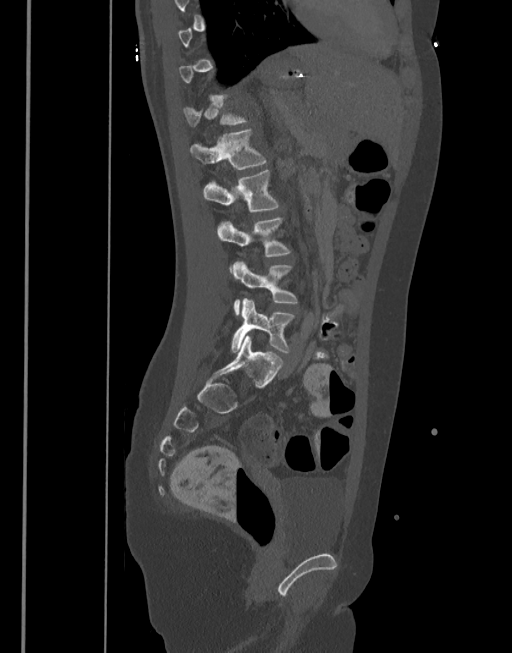

CT, spine · sagittal view · bone window
Columns x1, y1, x2, y2 give each box's top-left and bottom-right pixels.
A vertebra gets a box only on the slices from the first to the last where its cross-section is at least a third of its largest; on a slice outside that range it gets none.
| vertebra | x1 | y1 | x2 | y2 |
|---|---|---|---|---|
| T12 | 183 | 93 | 249 | 125 |
| L1 | 190 | 128 | 266 | 170 |
| L2 | 204 | 170 | 280 | 212 |
| L3 | 217 | 216 | 291 | 272 |
| L4 | 232 | 260 | 298 | 316 |
| L5 | 231 | 298 | 295 | 352 |